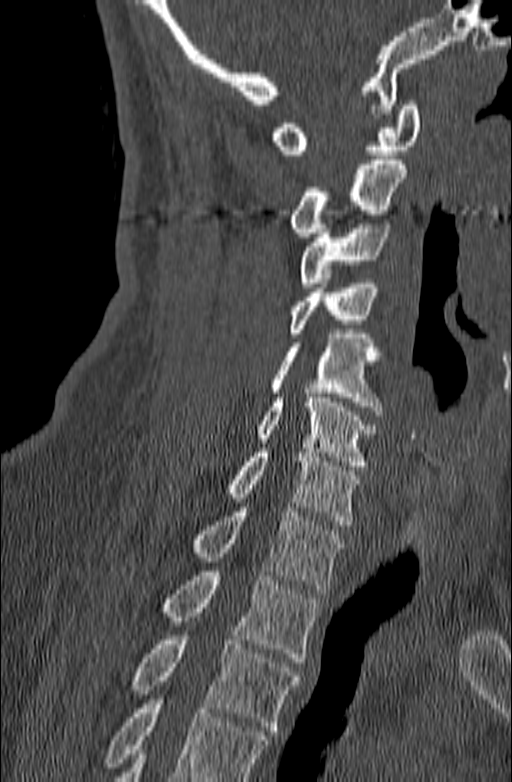
CT, spine · sagittal view · 512x782 px

Box edges are left/top/right/bottom in pixels.
No box is given to a vertebra that the bottom edge of the scan cuts off.
| vertebra | x1 | y1 | x2 | y2 |
|---|---|---|---|---|
| T3 | 132 | 631 | 301 | 735 |
| T2 | 162 | 571 | 319 | 662 |
| T1 | 192 | 507 | 344 | 593 |
| C7 | 228 | 448 | 359 | 525 |
| C6 | 257 | 393 | 377 | 465 |
| C5 | 271 | 334 | 383 | 415 |
| C4 | 289 | 279 | 377 | 337 |
| C3 | 299 | 219 | 391 | 287 |
| C2 | 290 | 160 | 406 | 237 |
| C1 | 270 | 101 | 421 | 154 |